CT — sagittal view — 18 vertebrae labeled in this scan
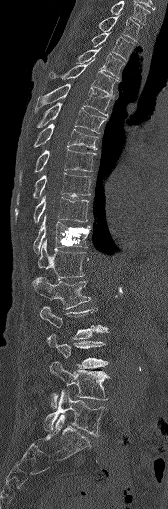 Bounding boxes as [x1, y1, x2, y2] in pixel coordinates.
Vertebra bounding boxes:
- C7: [111, 1, 150, 24]
- T1: [99, 16, 140, 41]
- T2: [92, 33, 133, 59]
- T3: [77, 48, 124, 77]
- T4: [48, 59, 117, 95]
- T5: [36, 84, 111, 116]
- T6: [29, 102, 106, 133]
- T7: [33, 124, 97, 149]
- T8: [18, 149, 95, 184]
- T9: [16, 173, 91, 204]
- T10: [15, 196, 88, 222]
- T11: [33, 215, 90, 253]
- T12: [34, 239, 84, 280]
- L1: [33, 276, 91, 308]
- L2: [39, 306, 107, 339]
- L3: [47, 332, 108, 367]
- L4: [50, 361, 109, 408]
- L5: [44, 389, 106, 436]